CT; sagittal view; 10 vertebrae labeled in this scan
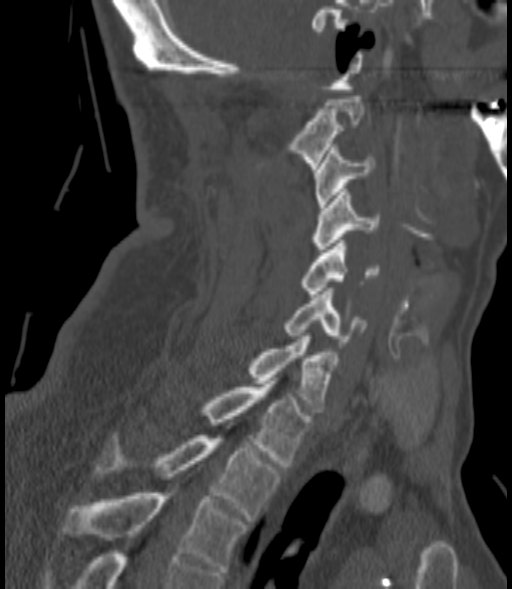
In the table, x1 and y1 are a box's top-left corner and x2 and y2 its bottom-right corner, in pixels.
| vertebra | x1 | y1 | x2 | y2 |
|---|---|---|---|---|
| C2 | 290 | 96 | 363 | 169 |
| C3 | 313 | 147 | 374 | 210 |
| C4 | 313 | 189 | 378 | 249 |
| C5 | 303 | 240 | 379 | 297 |
| C6 | 285 | 288 | 367 | 345 |
| C7 | 249 | 333 | 335 | 412 |
| T1 | 203 | 381 | 310 | 466 |
| T2 | 96 | 435 | 279 | 521 |
| T3 | 62 | 493 | 246 | 569 |